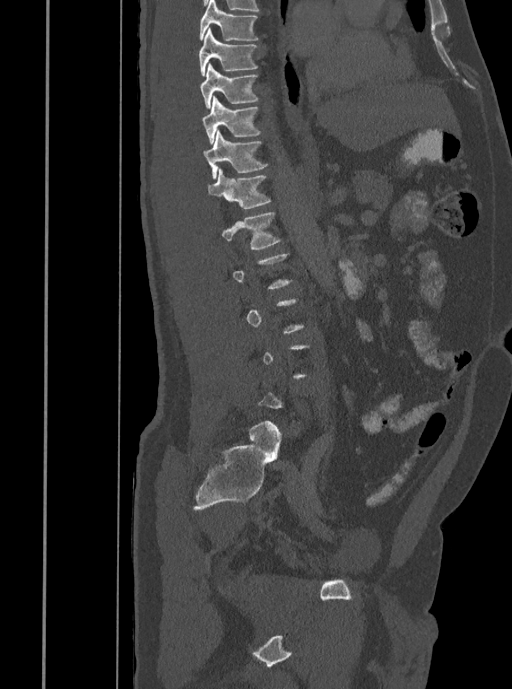
CT spine. sagittal view. 512x689 px

Boxes are given in columns x1, y1, x2, y2, the pixel coordinates of their top-left and bottom-right corners.
Each vertebra is boxed only on the slices from the first to the last where its cross-section reaches a third of its largest, so a slice outside that range leaves it unboxed.
| vertebra | x1 | y1 | x2 | y2 |
|---|---|---|---|---|
| T7 | 199 | 0 | 259 | 41 |
| T8 | 198 | 28 | 257 | 76 |
| T9 | 199 | 63 | 259 | 109 |
| T10 | 202 | 96 | 261 | 144 |
| T11 | 203 | 130 | 267 | 179 |
| T12 | 207 | 168 | 271 | 209 |
| L1 | 222 | 212 | 280 | 249 |